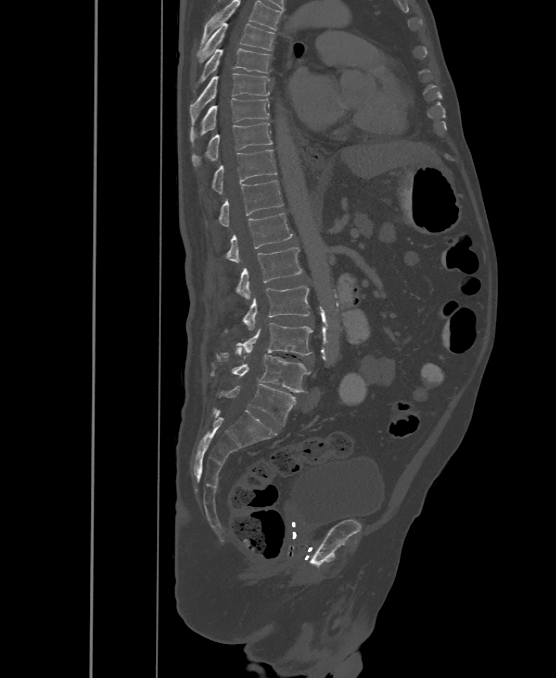 Computed tomography of the spine · the image is 500 mm wide · sagittal reformat
In this scan, the topmost labeled vertebra is T6 and the lowest is L6.
These labels give the spine a sixth lumbar vertebra, L6, below L5.
<vertebrae><v name="L6" x1="226" y1="384" x2="295" y2="425"/><v name="L5" x1="212" y1="346" x2="309" y2="392"/><v name="L4" x1="216" y1="323" x2="313" y2="361"/><v name="L3" x1="243" y1="286" x2="309" y2="330"/><v name="L2" x1="237" y1="247" x2="303" y2="299"/><v name="L1" x1="227" y1="213" x2="292" y2="263"/><v name="T12" x1="219" y1="180" x2="282" y2="226"/><v name="T11" x1="213" y1="149" x2="276" y2="194"/><v name="T10" x1="192" y1="123" x2="272" y2="165"/><v name="T9" x1="190" y1="98" x2="269" y2="142"/><v name="T8" x1="190" y1="74" x2="269" y2="123"/><v name="T7" x1="199" y1="48" x2="271" y2="84"/><v name="T6" x1="196" y1="23" x2="274" y2="62"/></vertebrae>